CT · sagittal reformat · W/L 1800/400 HU
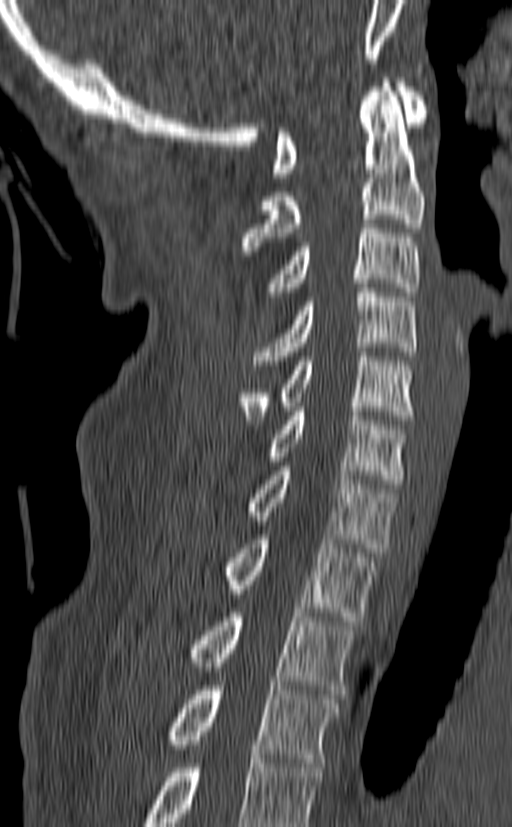 Bounding boxes as [x1, y1, x2, y2] in pixel coordinates.
In this scan, the topmost labeled vertebra is C1 and the lowest is T3.
Vertebra bounding boxes:
- T3: [162, 686, 340, 767]
- T2: [184, 608, 355, 694]
- T1: [221, 535, 377, 621]
- C7: [246, 466, 399, 552]
- C6: [202, 402, 410, 488]
- C5: [239, 352, 414, 424]
- C4: [254, 283, 417, 365]
- C3: [266, 219, 421, 296]
- C2: [241, 78, 425, 255]
- C1: [272, 78, 428, 177]